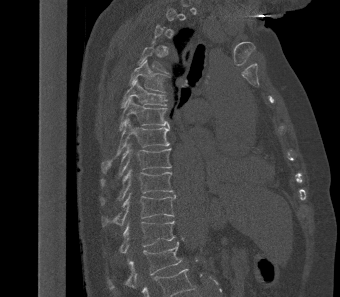
CT, spine — sagittal view — W/L 1800/400 HU. Boxes: x1:y1:x2:y2 in pixels. Each vertebra is boxed only on the slices from the first to the last where its cross-section reaches a third of its largest, so a slice outside that range leaves it unboxed. The labeled vertebrae in this slice are: T4 at 138:46:166:72, T5 at 128:60:165:92, T6 at 120:79:166:108, T7 at 119:97:169:131, T8 at 102:118:169:172, T9 at 101:143:171:186, T10 at 100:170:173:204, T11 at 101:193:175:226, T12 at 119:221:175:253, L1 at 108:241:181:289.